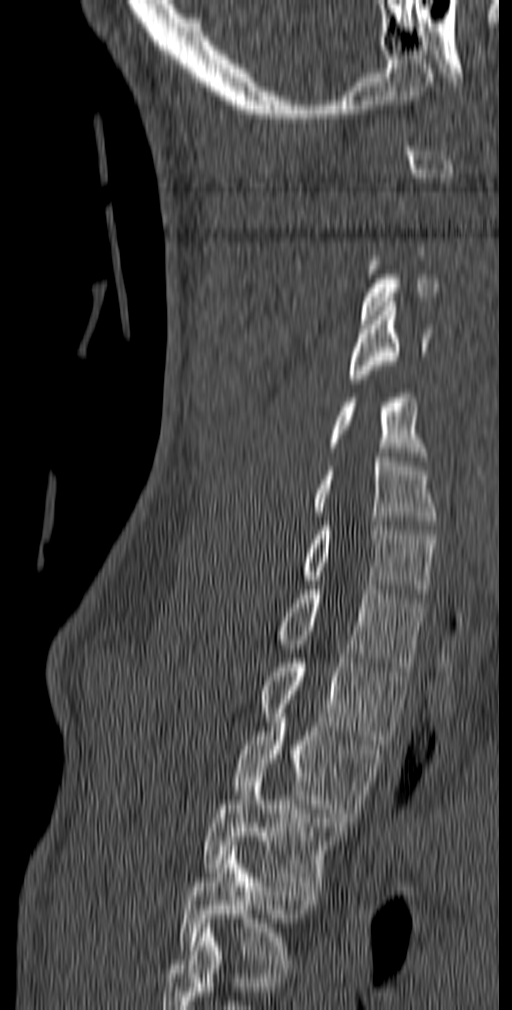

CT spine; sagittal view; bone window
Not every vertebra on this slice has a box: a vertebra is boxed only from the first to the last slice where its cross-section is at least a third of its largest, and this slice is outside that range for at least one of them.
This scan's labels start at C1 at the top and end at T5 at the bottom.
<vertebrae><v name="T5" x1="177" y1="846" x2="315" y2="968"/><v name="T4" x1="202" y1="773" x2="345" y2="890"/><v name="T3" x1="232" y1="718" x2="382" y2="822"/><v name="T2" x1="257" y1="654" x2="410" y2="744"/><v name="T1" x1="276" y1="585" x2="425" y2="671"/><v name="C7" x1="301" y1="521" x2="436" y2="598"/><v name="C6" x1="312" y1="453" x2="436" y2="529"/><v name="C5" x1="327" y1="389" x2="428" y2="465"/><v name="C4" x1="349" y1="302" x2="432" y2="383"/><v name="C3" x1="360" y1="256" x2="439" y2="324"/></vertebrae>